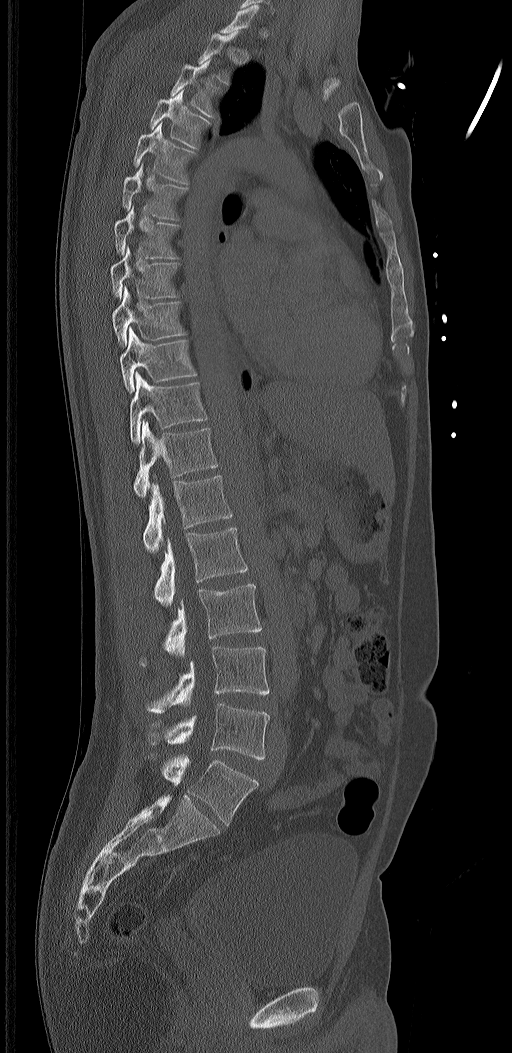
CT, spine; sagittal view; 512x1053 px. Coordinates as <box>x1,y1,x2,y2</box>.
A vertebra is boxed only from the first to the last slice where its cross-section is at least a third of its largest; slices outside that range leave it without a box.
These labels give the spine a sixth lumbar vertebra, L6, below L5.
T3: <box>170,59,219,121</box>
T4: <box>150,90,211,149</box>
T5: <box>133,122,195,185</box>
T6: <box>122,163,188,219</box>
T7: <box>114,205,179,259</box>
T8: <box>111,245,179,299</box>
T9: <box>112,287,187,347</box>
T10: <box>120,326,196,393</box>
T11: <box>130,370,207,444</box>
T12: <box>133,420,219,497</box>
L1: <box>143,476,233,553</box>
L2: <box>154,527,247,606</box>
L3: <box>140,584,262,665</box>
L4: <box>146,645,270,713</box>
L5: <box>148,703,270,759</box>
L6: <box>162,754,259,825</box>